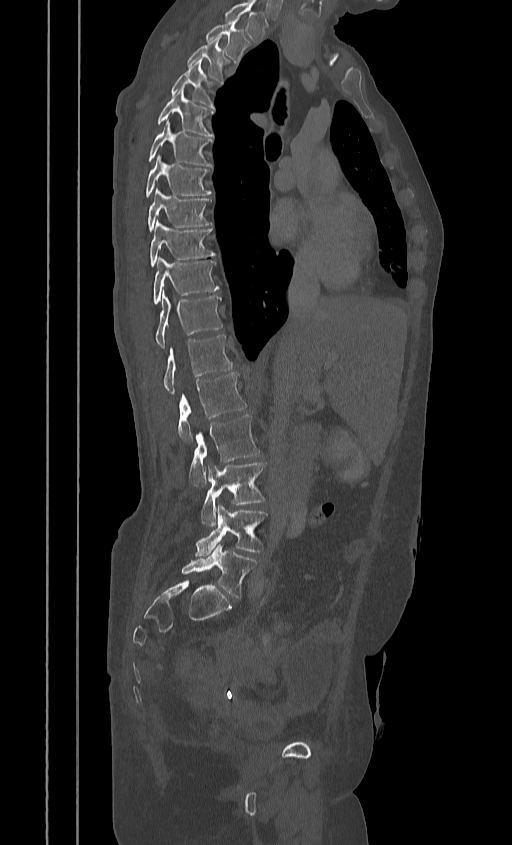
CT. sagittal view. Bone window (WL 400, WW 1800). 512x845 px
Box values are [left, top, right, bottom] in pixels.
This scan's labels start at T2 at the top and end at L5 at the bottom.
{"vertebrae":{"T2":[205,19,249,63],"T3":[186,37,228,80],"T4":[141,60,213,108],"T5":[156,88,213,136],"T6":[146,121,212,166],"T7":[145,156,211,196],"T8":[146,189,211,231],"T9":[149,221,215,267],"T10":[152,257,219,304],"T11":[154,293,223,348],"T12":[162,335,232,394],"L1":[177,372,247,442],"L2":[189,415,260,486],"L3":[201,461,265,526],"L4":[194,504,267,556],"L5":[181,545,257,598]}}